Computed tomography of the spine — sagittal view
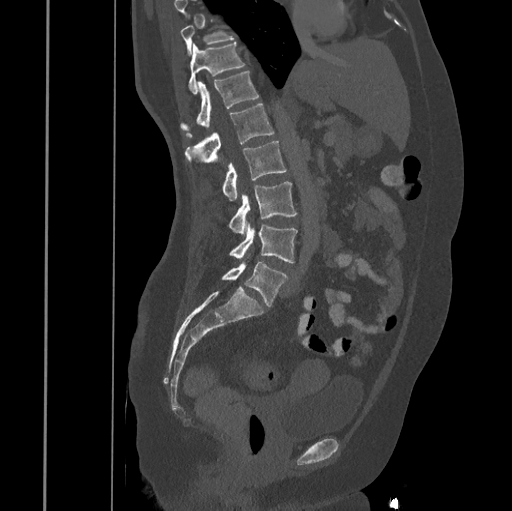
Vertebrae that run past the top of the scan are left unlabeled.
<vertebrae><v name="T10" x1="181" y1="20" x2="234" y2="54"/><v name="T11" x1="189" y1="42" x2="245" y2="93"/><v name="T12" x1="180" y1="71" x2="259" y2="137"/><v name="L1" x1="185" y1="104" x2="274" y2="163"/><v name="L2" x1="223" y1="140" x2="287" y2="201"/><v name="L3" x1="229" y1="181" x2="297" y2="235"/><v name="L4" x1="229" y1="222" x2="297" y2="262"/><v name="L5" x1="222" y1="262" x2="288" y2="306"/></vertebrae>